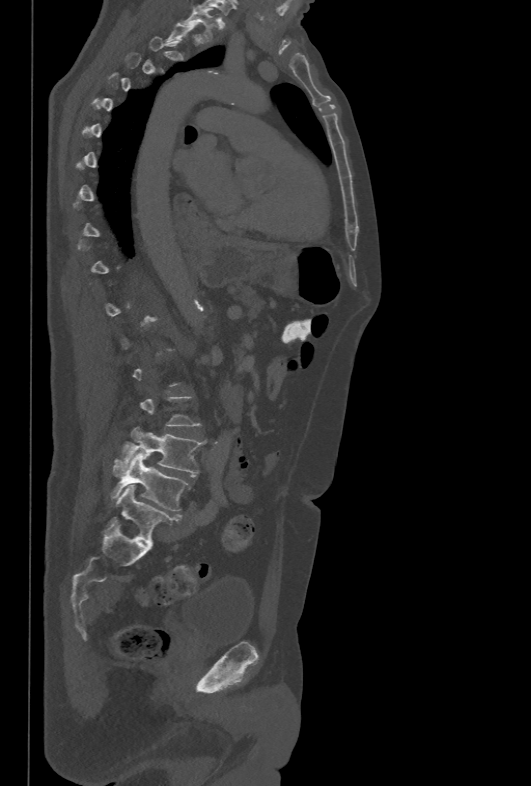
Spine computed tomography; sagittal view; Bone window (WL 400, WW 1800)

Each row gives a vertebra's box as x1, y1, x2, y2 in pixels: top-left corner, then bottom-right corner.
A vertebra gets a box only on the slices from the first to the last where its cross-section is at least a third of its largest; on a slice outside that range it gets none.
| vertebra | x1 | y1 | x2 | y2 |
|---|---|---|---|---|
| T1 | 184 | 9 | 215 | 39 |
| L4 | 113 | 427 | 204 | 476 |
| L5 | 110 | 455 | 189 | 511 |